Spine computed tomography. sagittal view. 350 mm wide. Bone window (WL 400, WW 1800). a region of this slice is masked with a uniform fill
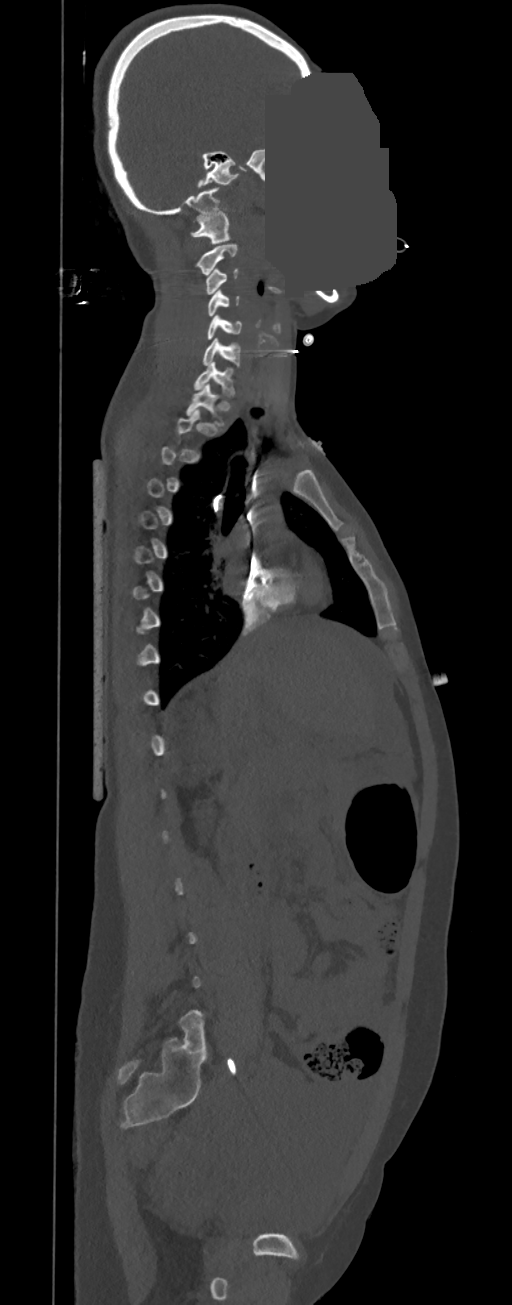 Boxes: x1 y1 x2 y2 (pixel coords, space-separated). A vertebra is boxed only from the first to the last slice where its cross-section is at least a third of its largest; slices outside that range leave it without a box. The labeled vertebrae in this slice are: T1 at 186 383 224 426, C7 at 194 362 234 395, C6 at 203 338 240 366, C5 at 207 316 242 339, C4 at 206 290 239 316, C3 at 206 269 239 294, C2 at 197 244 237 275, C1 at 190 211 229 244.